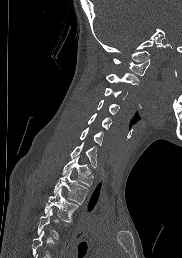

Spine computed tomography; sagittal view; 182x258 px

Each row gives a vertebra's box as x1, y1, x2, y2 in pixels: top-left corner, then bottom-right corner.
Vertebrae that run past the bottom of the scan are left unlabeled.
| vertebra | x1 | y1 | x2 | y2 |
|---|---|---|---|---|
| C1 | 113 | 58 | 150 | 76 |
| C2 | 106 | 73 | 139 | 84 |
| C3 | 104 | 87 | 127 | 99 |
| C4 | 97 | 99 | 119 | 114 |
| C5 | 88 | 113 | 111 | 129 |
| C6 | 79 | 127 | 103 | 146 |
| C7 | 70 | 142 | 97 | 167 |
| T1 | 61 | 156 | 92 | 185 |
| T2 | 53 | 170 | 88 | 203 |
| T3 | 44 | 188 | 78 | 221 |
| T4 | 37 | 208 | 67 | 239 |